Spine CT — sagittal reformat — W/L 1800/400 HU
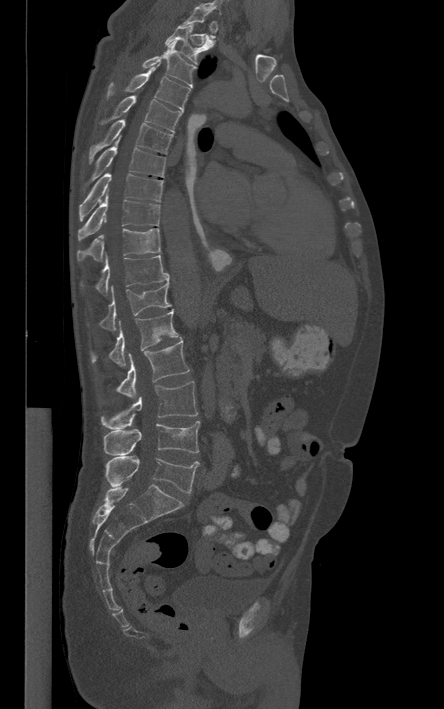

Coordinates as <box>x1,y1,x2,y2</box>.
A vertebra gets a box only on the slices from the first to the last where its cross-section is at least a third of its largest; on a slice outside that range it gets none.
T2: <box>164,22,212,64</box>
T3: <box>142,40,196,87</box>
T4: <box>107,64,190,112</box>
T5: <box>99,96,182,132</box>
T6: <box>88,119,173,164</box>
T7: <box>87,134,166,184</box>
T8: <box>79,173,163,221</box>
T9: <box>78,191,160,239</box>
T10: <box>78,228,160,260</box>
T11: <box>81,255,169,295</box>
T12: <box>100,281,170,331</box>
L1: <box>91,309,178,366</box>
L2: <box>117,339,189,398</box>
L3: <box>100,381,197,429</box>
L4: <box>103,421,199,455</box>
L5: <box>105,456,199,493</box>